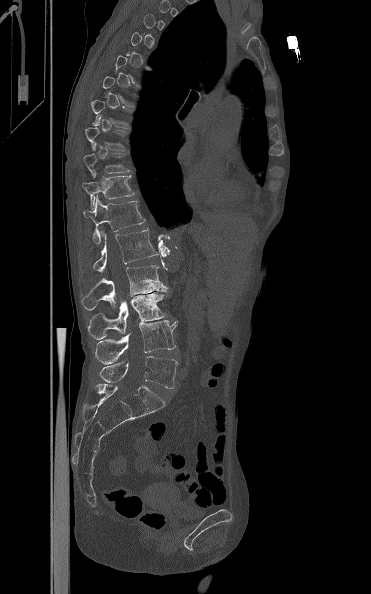 Spine computed tomography · sagittal view · 371x594 px
Bounding boxes as [x1, y1, x2, y2] in pixel coordinates.
Each vertebra is boxed only on the slices from the first to the last where its cross-section reaches a third of its largest, so a slice outside that range leaves it unboxed.
T9: [85, 120, 125, 150]
T10: [83, 144, 130, 176]
T11: [82, 169, 134, 209]
T12: [83, 195, 146, 244]
L1: [93, 228, 158, 272]
L2: [82, 265, 169, 309]
L3: [88, 293, 168, 339]
L4: [95, 320, 177, 364]
L5: [100, 356, 178, 388]